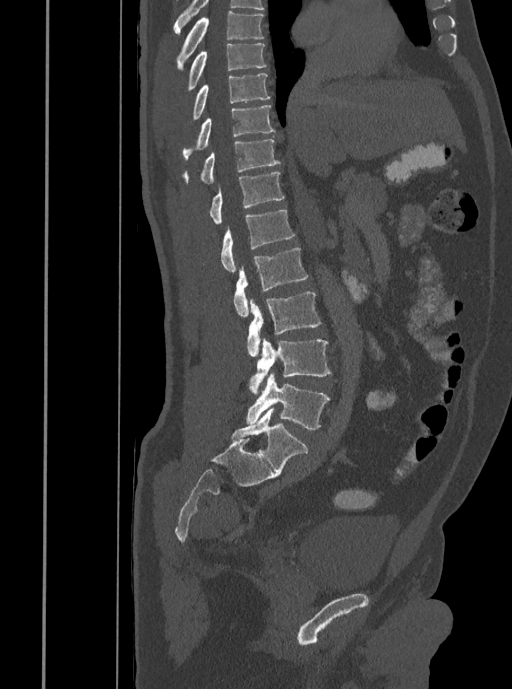
Spine CT; sagittal view; W/L 1800/400 HU. Boxes: x1:y1:x2:y2 in pixels.
T7: 177:11:264:69
T8: 187:43:266:92
T9: 192:73:270:120
T10: 182:105:275:159
T11: 183:139:280:183
T12: 209:172:284:224
L1: 221:210:294:272
L2: 233:247:308:315
L3: 247:291:321:356
L4: 249:339:330:394
L5: 245:373:330:429